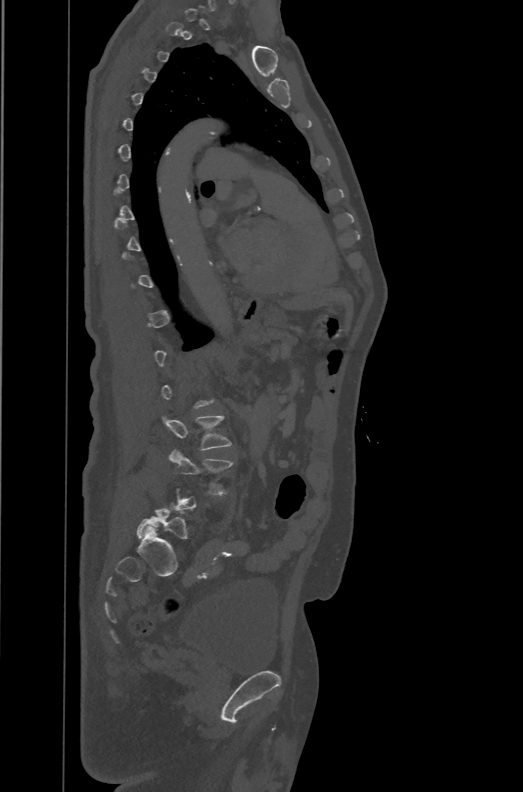
CT spine — sagittal view
Box edges are left/top/right/bottom in pixels.
A vertebra is boxed only from the first to the last slice where its cross-section is at least a third of its largest; slices outside that range leave it without a box.
These labels give the spine a sixth lumbar vertebra, L6, below L5.
| vertebra | x1 | y1 | x2 | y2 |
|---|---|---|---|---|
| L6 | 136 | 503 | 187 | 540 |
| L4 | 169 | 449 | 233 | 494 |
| L3 | 163 | 415 | 231 | 450 |